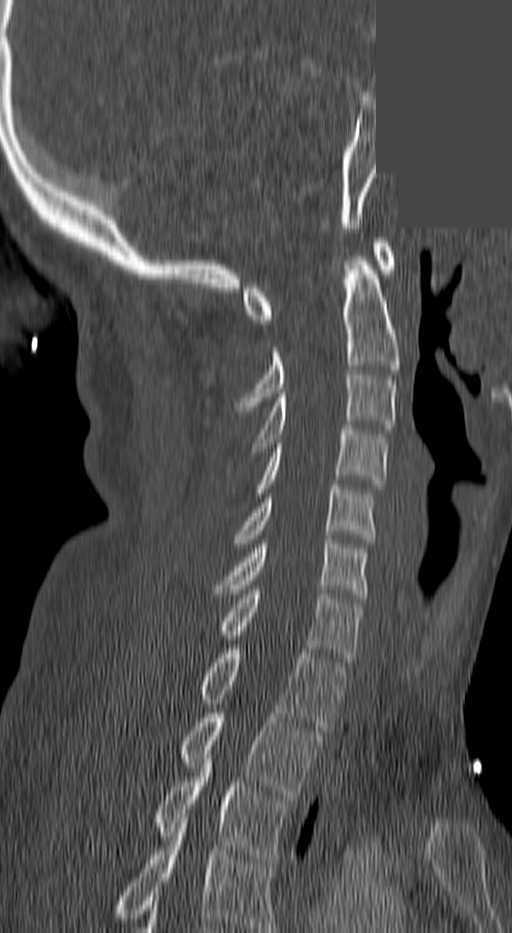
CT, spine. sagittal view. W/L 1800/400 HU. 512x933 px. a region of this slice is masked with a uniform fill. Each box given as x1,y1,x2,y2.
The highest labeled vertebra in this scan is C1; the lowest is T3.
| vertebra | x1 | y1 | x2 | y2 |
|---|---|---|---|---|
| C1 | 243 | 242 | 395 | 324 |
| C2 | 237 | 256 | 399 | 406 |
| C3 | 252 | 375 | 395 | 456 |
| C4 | 257 | 425 | 388 | 497 |
| C5 | 235 | 485 | 373 | 543 |
| C6 | 213 | 539 | 366 | 598 |
| C7 | 217 | 590 | 362 | 662 |
| T1 | 195 | 649 | 344 | 730 |
| T2 | 177 | 713 | 321 | 799 |
| T3 | 151 | 750 | 289 | 863 |